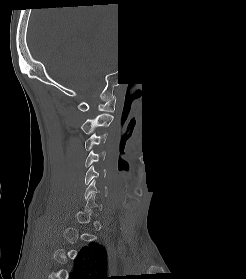 Spine CT; sagittal view; 246 mm across the image; some of the image was removed or blocked out with constant pixels
Boxes below are [x1, y1, x2, y2] in pixels.
Not every vertebra on this slice has a box: a vertebra is boxed only from the first to the last slice where its cross-section is at least a third of its largest, and this slice is outside that range for at least one of them.
{"vertebrae":{"C1":[77,95,115,112],"C2":[80,113,113,134],"C3":[85,133,107,150],"C4":[85,150,105,167],"C5":[85,165,106,184],"C6":[84,179,107,198]}}